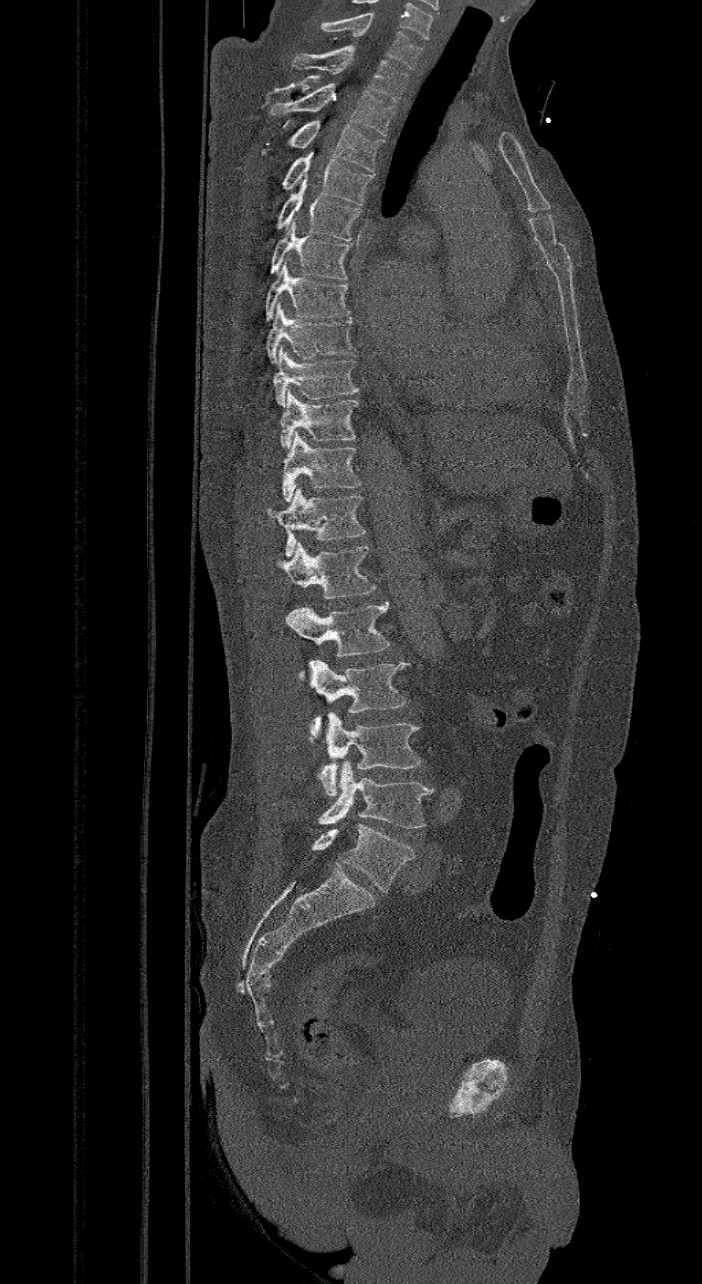 Spine computed tomography · sagittal view · image width 421 mm
Each box is [x1, y1, x2, y2] in pixels: top-left corner, then bottom-right corner.
In these labels the spine has an L6, a sixth lumbar vertebra below L5.
{"vertebrae":{"C7":[319,15,422,69],"T1":[292,45,407,102],"T2":[269,83,395,135],"T3":[260,120,384,172],"T4":[282,151,375,205],"T5":[275,175,361,240],"T6":[269,220,351,279],"T7":[264,260,351,320],"T8":[266,302,355,363],"T9":[273,345,359,406],"T10":[280,389,357,448],"T11":[281,430,362,502],"T12":[266,489,365,557],"L1":[275,542,376,597],"L2":[286,600,388,675],"L3":[308,659,407,738],"L4":[318,713,421,796],"L5":[318,761,432,828],"L6":[311,824,416,892]}}